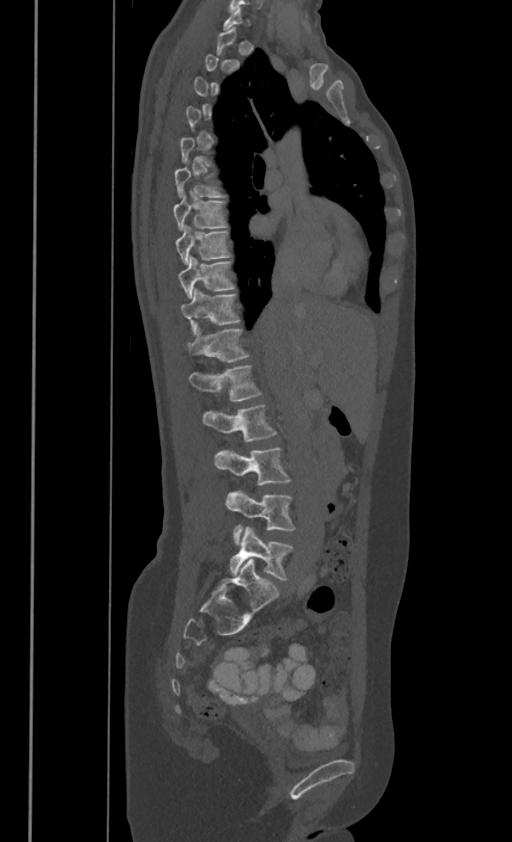 Computed tomography of the spine. sagittal view. 512x842 px

Box edges are left/top/right/bottom in pixels.
Each vertebra is boxed only on the slices from the first to the last where its cross-section reaches a third of its largest, so a slice outside that range leaves it unboxed.
In these labels the thoracic vertebrae end at T11, so L1 follows T11.
| vertebra | x1 | y1 | x2 | y2 |
|---|---|---|---|---|
| T6 | 175 | 167 | 222 | 195 |
| T7 | 174 | 195 | 226 | 228 |
| T8 | 175 | 226 | 228 | 263 |
| T9 | 178 | 255 | 234 | 297 |
| T10 | 180 | 288 | 239 | 330 |
| T11 | 187 | 324 | 248 | 361 |
| L1 | 190 | 364 | 260 | 400 |
| L2 | 203 | 402 | 276 | 442 |
| L3 | 215 | 448 | 289 | 484 |
| L4 | 225 | 492 | 295 | 543 |
| L5 | 229 | 528 | 292 | 579 |